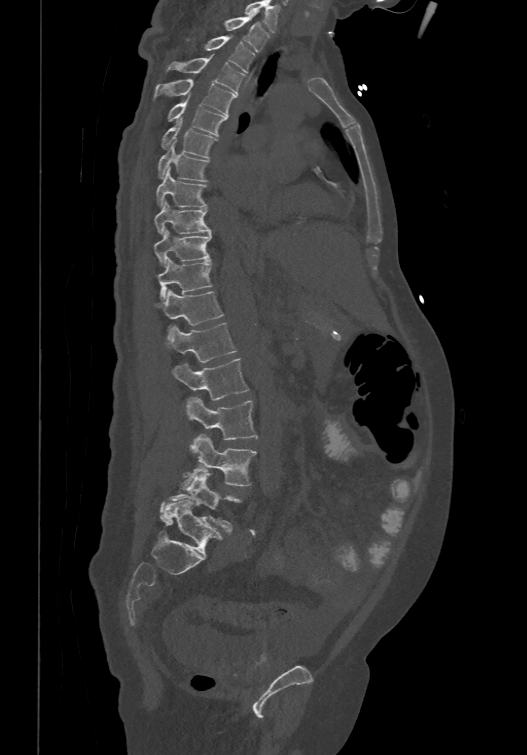 CT spine — sagittal view — the image spans 474 mm across — 527x755 px
Each box given as x1,y1,x2,y2. This scan's labels start at T1 at the top and end at L6 at the bottom. These labels give the spine a sixth lumbar vertebra, L6, below L5. Vertebrae labeled: T1 at x1=223, y1=12, x2=267, y2=51, T2 at x1=204, y1=35, x2=254, y2=72, T3 at x1=166, y1=55, x2=245, y2=92, T4 at x1=153, y1=77, x2=236, y2=115, T5 at x1=168, y1=93, x2=226, y2=134, T6 at x1=161, y1=117, x2=217, y2=157, T7 at x1=157, y1=141, x2=209, y2=180, T8 at x1=156, y1=166, x2=207, y2=206, T9 at x1=154, y1=200, x2=211, y2=233, T10 at x1=153, y1=227, x2=211, y2=266, T11 at x1=156, y1=256, x2=212, y2=299, T12 at x1=154, y1=288, x2=223, y2=334, L1 at x1=165, y1=322, x2=237, y2=361, L2 at x1=172, y1=357, x2=248, y2=400, L3 at x1=185, y1=397, x2=257, y2=440, L4 at x1=181, y1=434, x2=257, y2=489, L5 at x1=159, y1=472, x2=241, y2=530, L6 at x1=164, y1=500, x2=222, y2=555.